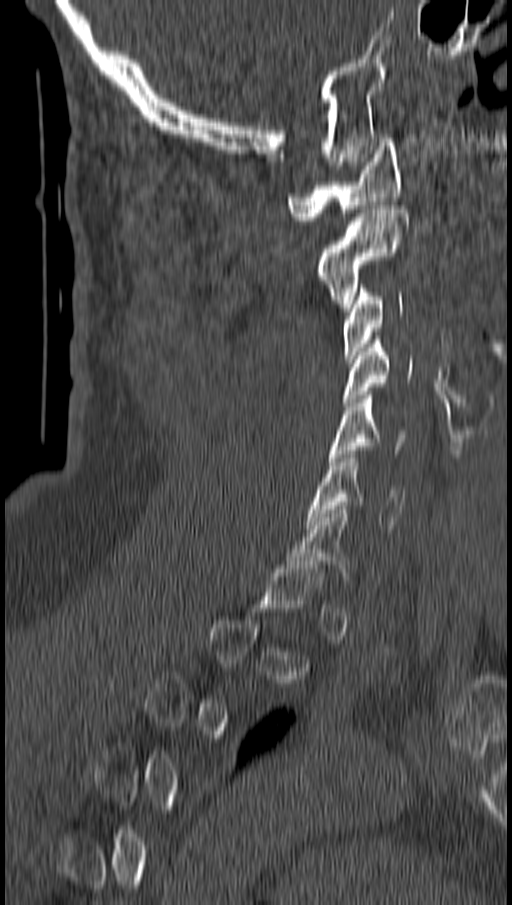
CT; sagittal view; 512x905 px; 162 mm across the image
Each box given as x1,y1,x2,y2.
A vertebra is boxed only from the first to the last slice where its cross-section is at least a third of its largest; slices outside that range leave it without a box.
| vertebra | x1 | y1 | x2 | y2 |
|---|---|---|---|---|
| C1 | 288 | 138 | 401 | 220 |
| C2 | 317 | 205 | 408 | 311 |
| C3 | 342 | 284 | 402 | 362 |
| C4 | 342 | 336 | 411 | 406 |
| C5 | 330 | 391 | 406 | 461 |
| C6 | 308 | 450 | 405 | 528 |